CT, spine · sagittal reformat · the image is 165 mm wide · 512x780 px
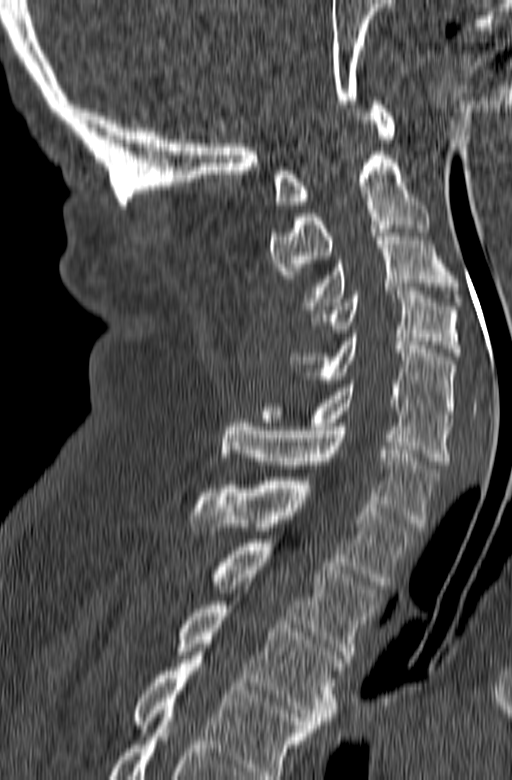 Labels in this scan begin with C1 at the top and end with T3 at the bottom.
<vertebrae><v name="C1" x1="273" y1="97" x2="394" y2="205"/><v name="C2" x1="269" y1="151" x2="429" y2="278"/><v name="C3" x1="302" y1="229" x2="463" y2="309"/><v name="C4" x1="311" y1="287" x2="461" y2="356"/><v name="C5" x1="290" y1="334" x2="456" y2="418"/><v name="C6" x1="260" y1="380" x2="452" y2="464"/><v name="C7" x1="221" y1="419" x2="438" y2="527"/><v name="T1" x1="187" y1="477" x2="416" y2="585"/><v name="T2" x1="212" y1="539" x2="379" y2="658"/><v name="T3" x1="175" y1="597" x2="344" y2="728"/></vertebrae>